Spine CT. 196 mm wide. sagittal reformat. scan covers 4 annotated vertebrae
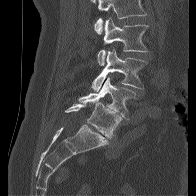

Boxes are given in columns x1, y1, x2, y2, the pixel coordinates of their top-left and bottom-right corners.
A vertebra cut off by the top edge of the scan is not labeled and has no box.
| vertebra | x1 | y1 | x2 | y2 |
|---|---|---|---|---|
| L2 | 97 | 17 | 148 | 65 |
| L3 | 91 | 48 | 147 | 91 |
| L4 | 78 | 76 | 136 | 119 |
| L5 | 65 | 102 | 121 | 137 |